CT, spine. Sagittal slice 267/512. 526x900 px. the image spans 473 mm across. 25 vertebrae labeled in this scan. a region is masked with a constant gray value
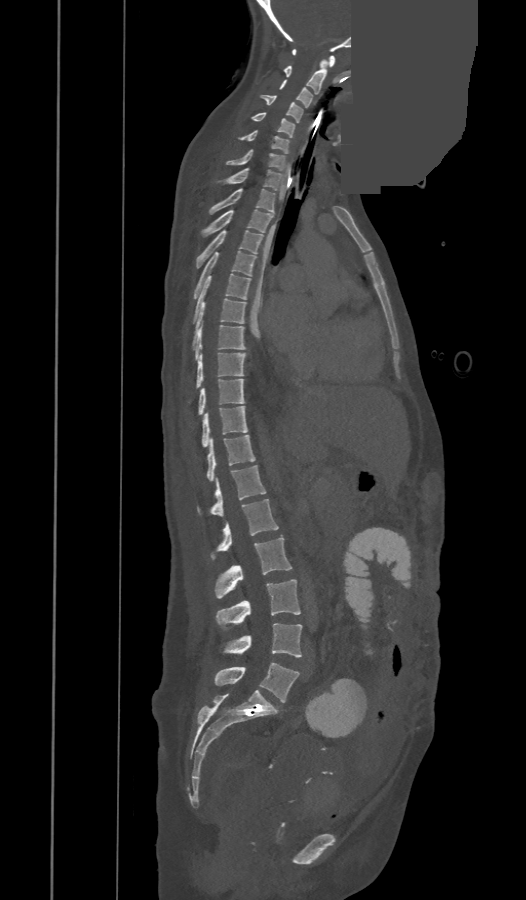

Boxes: x1 y1 x2 y2 (pixel coords, space-separated).
In these labels the spine has a T13, a thirteenth thoracic vertebra, between T12 and L1.
C1: 292 49 335 66
C2: 284 59 326 94
C3: 280 80 312 107
C4: 260 95 302 122
C5: 251 112 295 137
C6: 240 130 288 152
C7: 227 149 285 170
T1: 217 168 282 190
T2: 210 189 275 214
T3: 203 209 273 234
T4: 197 230 262 267
T5: 193 251 256 298
T6: 193 273 250 322
T7: 192 298 245 348
T8: 194 323 245 359
T9: 188 352 245 401
T10: 198 379 244 415
T11: 201 406 247 447
T12: 206 435 255 481
T13: 197 466 266 516
L1: 211 499 278 560
L2: 216 537 292 598
L3: 216 579 300 630
L4: 222 623 301 657
L5: 215 662 299 702